CT, spine; sagittal plane, index 347; W/L 1800/400 HU; 512x919 px
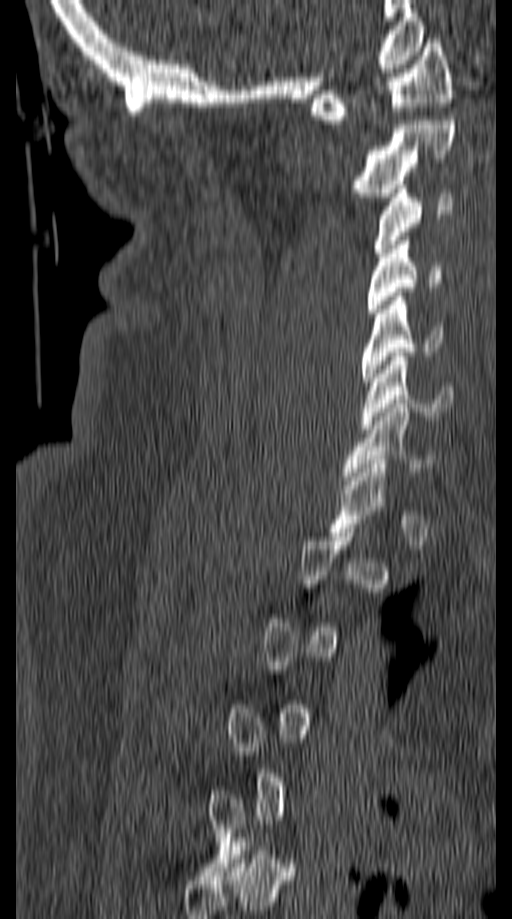

Boxes: x1:y1:x2:y2 in pixels. Not every vertebra on this slice has a box: a vertebra is boxed only from the first to the last slice where its cross-section is at least a third of its largest, and this slice is outside that range for at least one of them. Vertebrae labeled: C1 at 310:39:451:124, C2 at 352:120:454:197, C3 at 372:185:452:257, C4 at 367:241:440:313, C5 at 362:292:441:386, C6 at 362:352:455:429, C7 at 341:399:433:480.